Spine computed tomography; sagittal view; W/L 1800/400 HU; 175x175 px
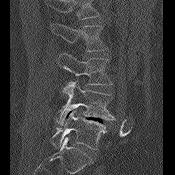 Each box given as x1,y1,x2,y2.
Vertebrae that run past the top of the scan are left unlabeled.
L5: x1=52, y1=110, x2=107, y2=149
L4: x1=56, y1=81, x2=115, y2=124
L3: x1=58, y1=53, x2=112, y2=92
L2: x1=52, y1=23, x2=107, y2=51